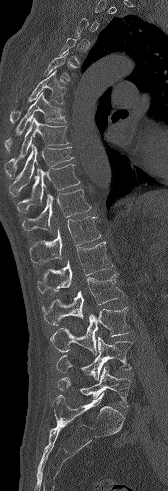
CT. sagittal view. 168x491 px

Each vertebra is boxed only on the slices from the first to the last where its cross-section reaches a third of its largest, so a slice outside that range leaves it unboxed.
<vertebrae><v name="T6" x1="10" y1="70" x2="66" y2="123"/><v name="T7" x1="5" y1="91" x2="67" y2="150"/><v name="T8" x1="5" y1="117" x2="70" y2="179"/><v name="T9" x1="9" y1="144" x2="73" y2="196"/><v name="T10" x1="17" y1="164" x2="80" y2="212"/><v name="T11" x1="22" y1="189" x2="91" y2="231"/><v name="T12" x1="29" y1="216" x2="101" y2="263"/><v name="L1" x1="37" y1="241" x2="113" y2="293"/><v name="L2" x1="42" y1="273" x2="124" y2="325"/><v name="L3" x1="50" y1="307" x2="131" y2="355"/><v name="L4" x1="56" y1="337" x2="132" y2="380"/><v name="L5" x1="57" y1="367" x2="131" y2="407"/></vertebrae>